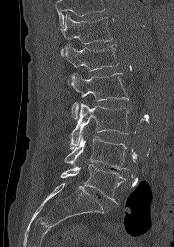 Spine computed tomography · sagittal view · bone window
Boxes are (x1, y1, x2, y2) in pixels. Vertebrae that run past the top of the scan are left unlabeled. Vertebrae labeled: T12 at (60, 13, 112, 56), L1 at (63, 44, 119, 71), L2 at (68, 73, 128, 119), L3 at (70, 102, 129, 147), L4 at (64, 136, 128, 169), L5 at (60, 164, 125, 205).